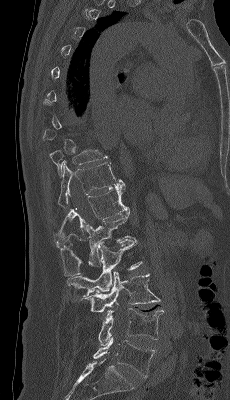 Spine computed tomography. sagittal view. bone window. 230x400 px. the image is 230 mm wide
Columns x1, y1, x2, y2 give each box's top-left and bottom-right pixels.
Each vertebra is boxed only on the slices from the first to the last where its cross-section reaches a third of its largest, so a slice outside that range leaves it unboxed.
| vertebra | x1 | y1 | x2 | y2 |
|---|---|---|---|---|
| L5 | 93 | 337 | 155 | 377 |
| L4 | 98 | 308 | 165 | 345 |
| L3 | 81 | 271 | 160 | 312 |
| L2 | 66 | 238 | 142 | 297 |
| L1 | 60 | 211 | 133 | 276 |
| T12 | 53 | 184 | 130 | 247 |
| T11 | 58 | 161 | 124 | 208 |
| T10 | 49 | 149 | 107 | 175 |